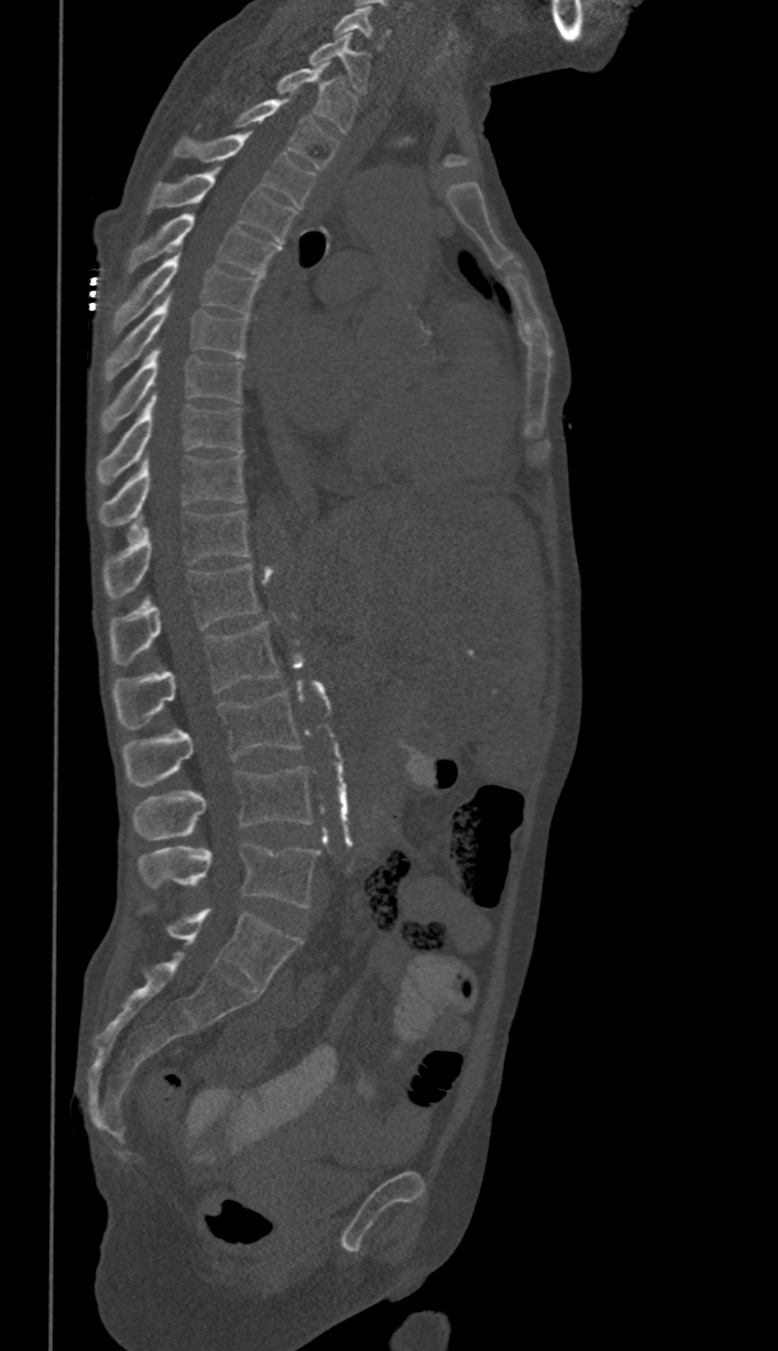

Spine CT — sagittal view
In these labels the thoracic vertebrae end at T11, so L1 follows T11.
<vertebrae><v name="C6" x1="333" y1="7" x2="389" y2="51"/><v name="C7" x1="308" y1="32" x2="370" y2="93"/><v name="T1" x1="275" y1="63" x2="356" y2="133"/><v name="T2" x1="232" y1="100" x2="339" y2="168"/><v name="T3" x1="173" y1="132" x2="313" y2="206"/><v name="T4" x1="146" y1="167" x2="297" y2="242"/><v name="T5" x1="129" y1="214" x2="279" y2="277"/><v name="T6" x1="112" y1="247" x2="260" y2="333"/><v name="T7" x1="105" y1="296" x2="248" y2="379"/><v name="T8" x1="102" y1="347" x2="244" y2="433"/><v name="T9" x1="97" y1="394" x2="244" y2="484"/><v name="T10" x1="100" y1="456" x2="245" y2="524"/><v name="T11" x1="105" y1="509" x2="250" y2="597"/><v name="L1" x1="111" y1="563" x2="259" y2="664"/><v name="L2" x1="112" y1="623" x2="279" y2="728"/><v name="L3" x1="122" y1="692" x2="301" y2="786"/><v name="L4" x1="134" y1="767" x2="312" y2="839"/><v name="L5" x1="140" y1="843" x2="318" y2="908"/></vertebrae>